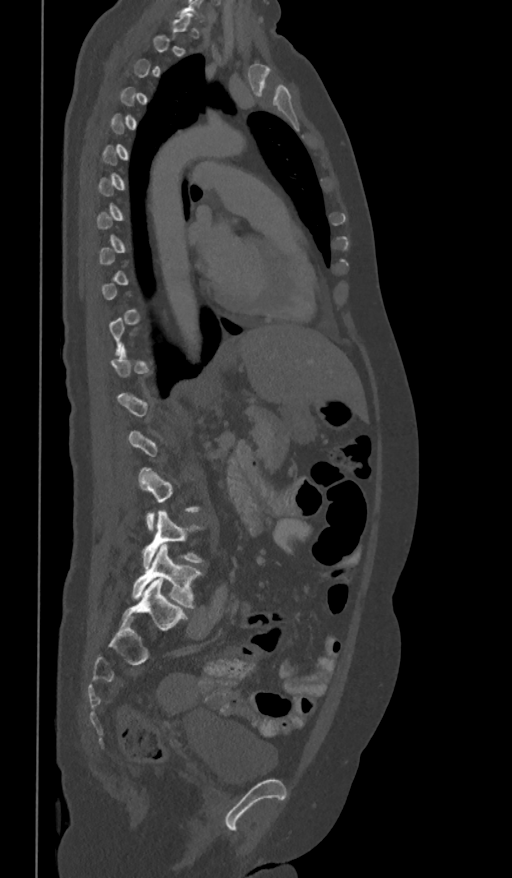 CT; sagittal reformat
Boxes: x1:y1:x2:y2 in pixels.
Each vertebra is boxed only on the slices from the first to the last where its cross-section reaches a third of its largest, so a slice outside that range leaves it unboxed.
L4: 143:509:202:568
L5: 132:545:202:608